Spine computed tomography · sagittal plane, index 490 · 768x1012 px · 9 vertebrae labeled in this scan
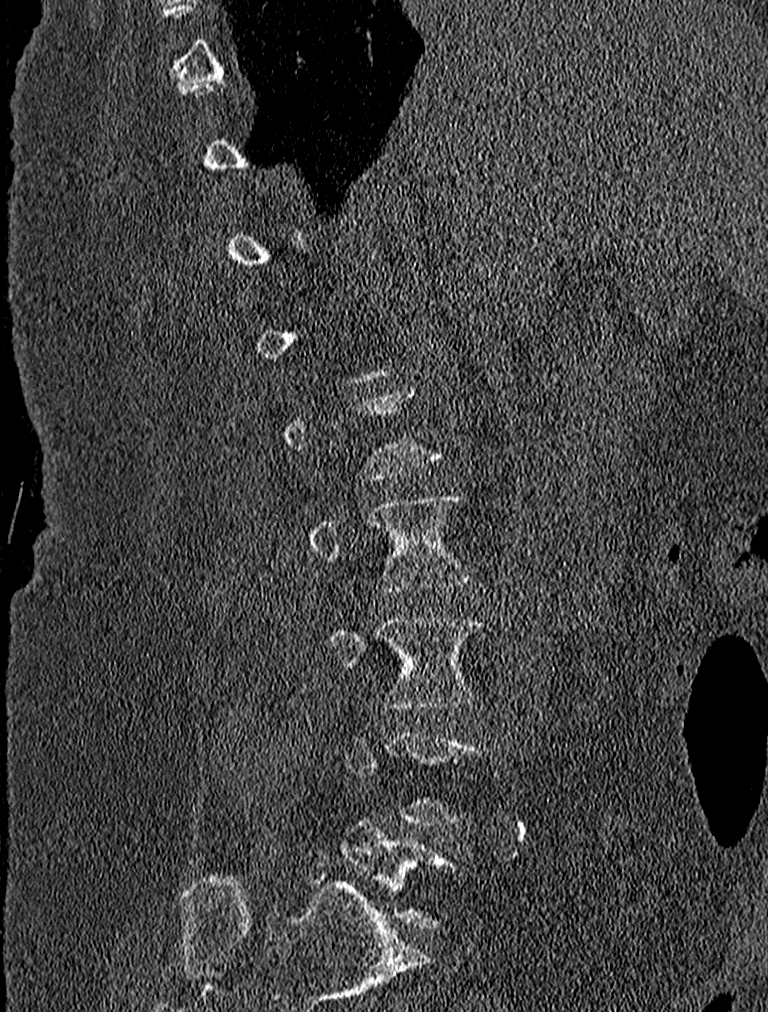

Coordinates as <box>x1,y1,x2,y2</box>.
A vertebra gets a box only on the slices from the first to the last where its cross-section is at least a third of its largest; on a slice outside that range it gets none.
L5: <box>341,821,455,928</box>
L3: <box>327,615,488,708</box>
L2: <box>310,495,471,593</box>